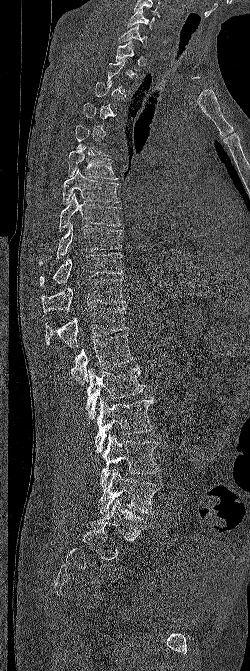

CT spine. sagittal view. bone window. 250x671 px

Each row gives a vertebra's box as x1, y1, x2, y2 in pixels: top-left corner, then bottom-right corner.
A vertebra is boxed only from the first to the last slice where its cross-section is at least a third of its largest; slices outside that range leave it without a box.
| vertebra | x1 | y1 | x2 | y2 |
|---|---|---|---|---|
| C6 | 127 | 8 | 159 | 30 |
| C7 | 119 | 24 | 147 | 47 |
| T6 | 68 | 146 | 117 | 179 |
| T7 | 63 | 169 | 119 | 204 |
| T8 | 59 | 193 | 121 | 231 |
| T9 | 39 | 222 | 122 | 265 |
| T10 | 40 | 252 | 123 | 286 |
| T11 | 41 | 279 | 125 | 313 |
| T12 | 45 | 306 | 128 | 348 |
| L1 | 69 | 334 | 133 | 385 |
| L2 | 85 | 365 | 144 | 419 |
| L3 | 95 | 397 | 154 | 452 |
| L4 | 100 | 431 | 160 | 487 |
| L5 | 98 | 468 | 160 | 515 |